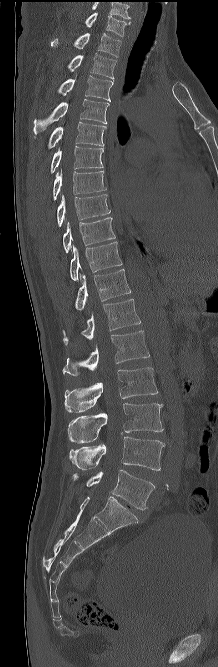

Spine CT. sagittal view. Bone window (WL 400, WW 1800). 218x667 px
Bounding boxes as [x1, y1, x2, y2] in pixel coordinates. This scan's labels start at C7 at the top and end at L5 at the bottom. The labeled vertebrae in this slice are: C7 at [85, 12, 131, 36], T1 at [51, 33, 121, 57], T2 at [67, 53, 116, 81], T3 at [58, 73, 112, 101], T4 at [33, 98, 109, 134], T5 at [48, 121, 106, 148], T6 at [50, 146, 103, 173], T7 at [53, 169, 106, 200], T8 at [57, 194, 110, 226], T9 at [62, 217, 115, 252], T10 at [70, 242, 122, 280], T11 at [75, 269, 131, 310], T12 at [62, 299, 140, 345], L1 at [62, 330, 149, 376], L2 at [64, 367, 157, 412], L3 at [67, 403, 163, 443], L4 at [69, 436, 165, 470], L5 at [72, 470, 154, 509].